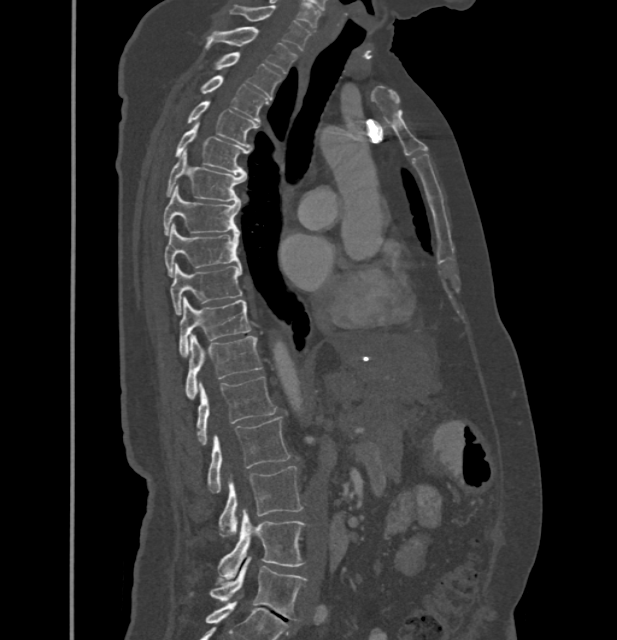

Computed tomography of the spine · sagittal reformat
Each box is [x1, y1, x2, y2] in pixels: top-left corner, then bottom-right corner.
In these labels the thoracic vertebrae end at T11, so L1 follows T11.
{"vertebrae":{"C7":[230,5,310,49],"T1":[206,27,296,74],"T2":[215,52,282,98],"T3":[201,76,268,121],"T4":[187,100,257,146],"T5":[176,123,249,174],"T6":[165,150,244,202],"T7":[163,186,240,235],"T8":[164,223,239,276],"T9":[170,265,241,315],"T10":[180,297,250,356],"T11":[186,335,262,399],"L1":[196,376,276,445],"L2":[207,416,288,492],"L3":[218,466,302,536],"L4":[217,509,305,579],"L5":[210,556,306,619]}}